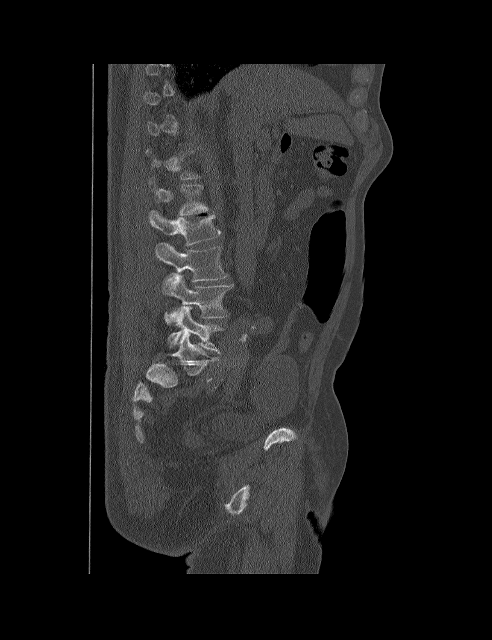
Computed tomography of the spine · image 492 mm wide · sagittal view
In the table, x1 and y1 are a box's top-left corner and x2 and y2 its bottom-right corner, in pixels.
Each vertebra is boxed only on the slices from the first to the last where its cross-section reaches a third of its largest, so a slice outside that range leaves it unboxed.
| vertebra | x1 | y1 | x2 | y2 |
|---|---|---|---|---|
| L1 | 154 | 184 | 208 | 215 |
| L2 | 149 | 210 | 221 | 245 |
| L3 | 155 | 243 | 227 | 283 |
| L4 | 162 | 274 | 233 | 324 |
| L5 | 168 | 306 | 224 | 353 |